CT, spine — sagittal view — image width 375 mm
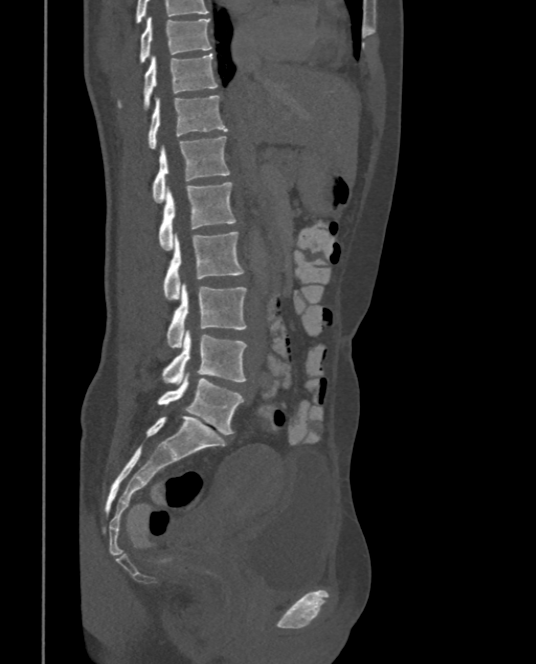

In the table, x1 and y1 are a box's top-left corner and x2 and y2 its bottom-right corner, in pixels.
Labels in this scan begin with T9 at the top and end with L5 at the bottom.
| vertebra | x1 | y1 | x2 | y2 |
|---|---|---|---|---|
| T9 | 140 | 17 | 211 | 63 |
| T10 | 117 | 53 | 218 | 109 |
| T11 | 146 | 96 | 227 | 149 |
| T12 | 153 | 136 | 230 | 202 |
| L1 | 158 | 181 | 235 | 250 |
| L2 | 162 | 231 | 245 | 299 |
| L3 | 167 | 284 | 247 | 347 |
| L4 | 162 | 330 | 247 | 383 |
| L5 | 157 | 374 | 243 | 435 |